CT; sagittal view; 350 mm wide; scan covers 8 annotated vertebrae
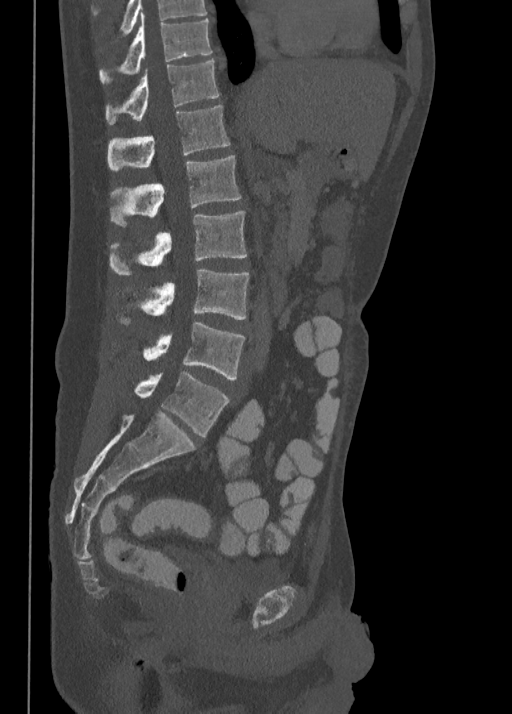
Boxes below are [x1, y1, x2, y2] in pixels.
{"vertebrae":{"T10":[99,14,212,83],"T11":[105,59,220,124],"T12":[107,105,230,171],"L1":[109,155,240,225],"L2":[109,211,246,275],"L3":[120,269,249,323],"L4":[143,321,245,379],"L5":[134,371,230,436]}}